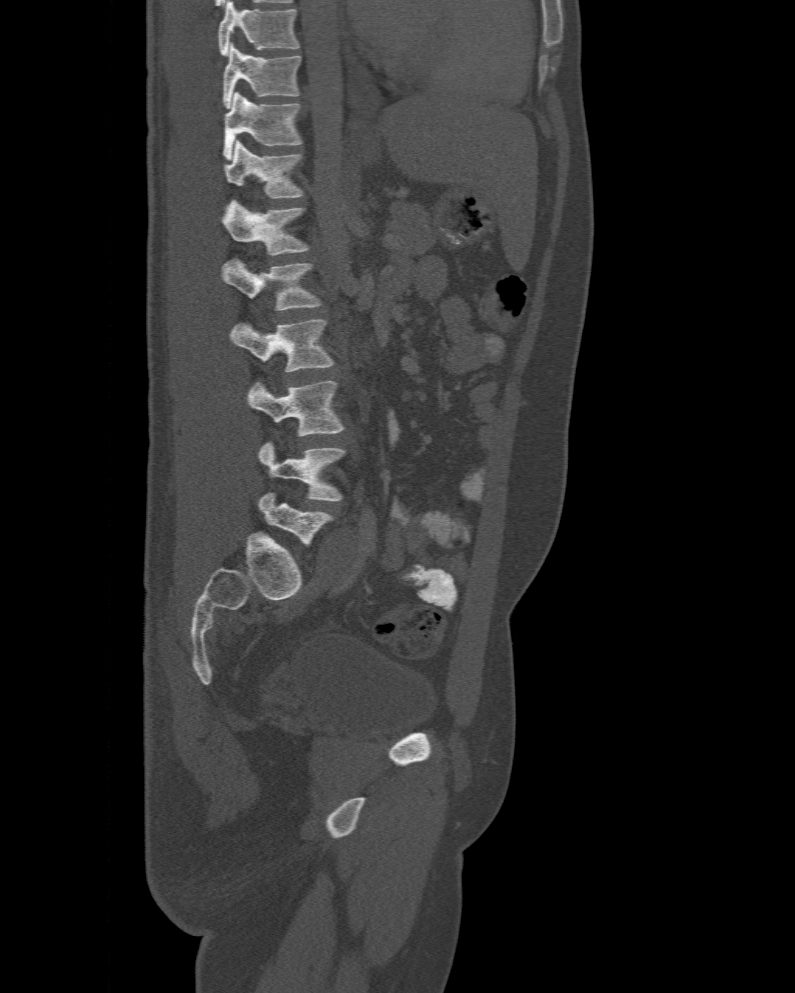
Spine CT — sagittal view — the image is 477 mm wide — bone-window reconstruction — 795x993 px

Labels in this scan begin with T10 at the top and end with L6 at the bottom.
The labels name a sixth lumbar vertebra for this spine: L6, after L5.
<vertebrae><v name="T10" x1="222" y1="43" x2="300" y2="107"/><v name="T11" x1="224" y1="92" x2="302" y2="159"/><v name="T12" x1="224" y1="140" x2="303" y2="199"/><v name="L1" x1="222" y1="199" x2="310" y2="256"/><v name="L2" x1="222" y1="256" x2="320" y2="311"/><v name="L3" x1="230" y1="318" x2="334" y2="372"/><v name="L4" x1="247" y1="380" x2="344" y2="436"/><v name="L5" x1="258" y1="442" x2="345" y2="501"/><v name="L6" x1="258" y1="492" x2="333" y2="546"/></vertebrae>